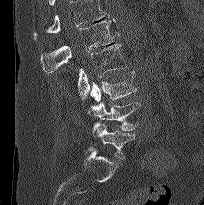 CT, spine. 204 mm image width. sagittal reformat
Bounding boxes as [x1, y1, x2, y2] in pixel coordinates. No box is given to a vertebra that the top edge of the scan cuts off. 5 vertebrae labeled — L1 at [40, 20, 117, 73]; L2 at [77, 43, 126, 99]; L3 at [90, 71, 137, 104]; L4 at [87, 101, 140, 130]; L5 at [92, 122, 135, 158].